Computed tomography of the spine — Sagittal slice 273/512 — bone-window reconstruction — 8 vertebrae labeled in this scan
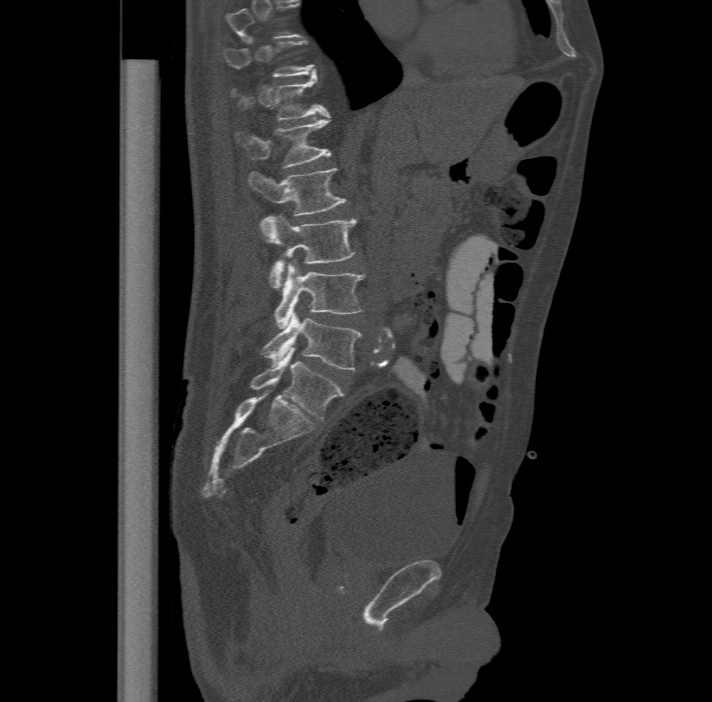
Box values are [left, top, right, bottom] in pixels.
The highest labeled vertebra in this scan is T11; the lowest is L6.
These labels give the spine a sixth lumbar vertebra, L6, below L5.
{"vertebrae":{"L6":[250,348,342,419],"L5":[261,313,362,370],"L4":[274,261,365,328],"L3":[261,213,358,288],"L2":[248,167,347,239],"L1":[234,116,330,166],"T12":[229,74,329,120],"T11":[224,40,316,76]}}